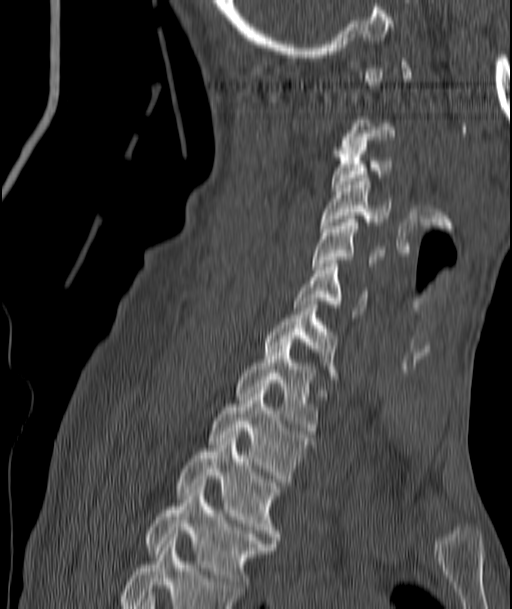

Computed tomography of the spine. sagittal reformat. 187 mm across the image. 512x609 px
Each box given as x1,y1,x2,y2.
A vertebra is boxed only from the first to the last slice where its cross-section is at least a third of its largest; slices outside that range leave it without a box.
| vertebra | x1 | y1 | x2 | y2 |
|---|---|---|---|---|
| T4 | 146 | 486 | 274 | 591 |
| T3 | 176 | 431 | 279 | 543 |
| T2 | 209 | 387 | 309 | 482 |
| T1 | 236 | 339 | 317 | 434 |
| C7 | 264 | 301 | 337 | 379 |
| C6 | 294 | 264 | 367 | 314 |
| C5 | 313 | 219 | 380 | 269 |
| C4 | 321 | 178 | 389 | 228 |
| C3 | 332 | 144 | 391 | 191 |